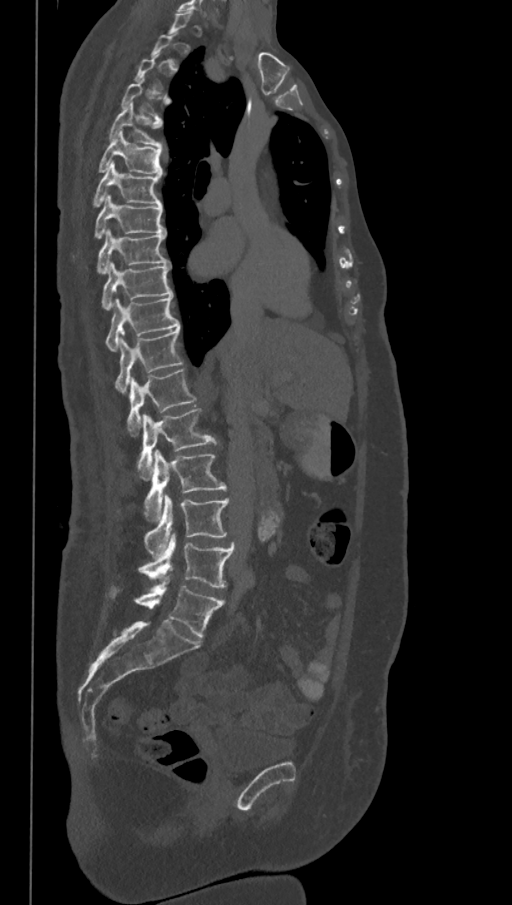 CT spine. sagittal reformat. Bone window (WL 400, WW 1800)
Bounding boxes as [x1, y1, x2, y2] in pixel coordinates. Each vertebra is boxed only on the slices from the first to the last where its cross-section reaches a third of its largest, so a slice outside that range leaves it unboxed. In these labels the spine has an L6, a sixth lumbar vertebra below L5. The labeled vertebrae in this slice are: T5 at [108, 103, 163, 147], T6 at [99, 130, 163, 176], T7 at [93, 162, 162, 206], T8 at [94, 194, 166, 238], T9 at [97, 229, 170, 273], T10 at [101, 263, 173, 311], T11 at [106, 296, 180, 351], T12 at [115, 328, 182, 392], L1 at [126, 368, 196, 436], L2 at [138, 408, 219, 479], L3 at [144, 450, 227, 520], L4 at [144, 493, 230, 556], L5 at [138, 532, 234, 588], L6 at [108, 576, 224, 638].